CT spine; sagittal reformat; W/L 1800/400 HU; the image is 222 mm wide; scan covers 17 annotated vertebrae
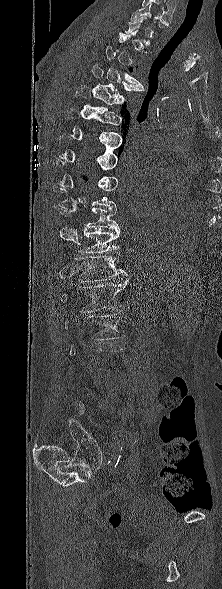

Boxes are (x1, y1, x2, y2) in pixels. Not every vertebra on this slice has a box: a vertebra is boxed only from the first to the last slice where its cross-section is at least a third of its largest, and this slice is outside that range for at least one of them. The labeled vertebrae in this slice are: T3 at (105, 45, 144, 89), T4 at (91, 64, 140, 98), T5 at (75, 85, 124, 115), T6 at (66, 107, 122, 141), T7 at (60, 132, 122, 160), T10 at (59, 208, 119, 231), T11 at (79, 229, 120, 253), T12 at (75, 256, 127, 282), L1 at (61, 279, 128, 312), L2 at (65, 313, 124, 340).